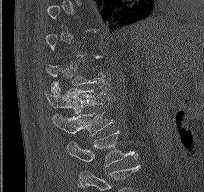
Spine computed tomography; sagittal view; bone window; 204x192 px
A vertebra gets a box only on the slices from the first to the last where its cross-section is at least a third of its largest; on a slice outside that range it gets none.
In this scan, the topmost labeled vertebra is T9 and the lowest is L2.
<vertebrae><v name="T12" x1="45" y1="80" x2="106" y2="113"/><v name="L1" x1="53" y1="109" x2="113" y2="135"/><v name="L2" x1="66" y1="130" x2="138" y2="167"/></vertebrae>